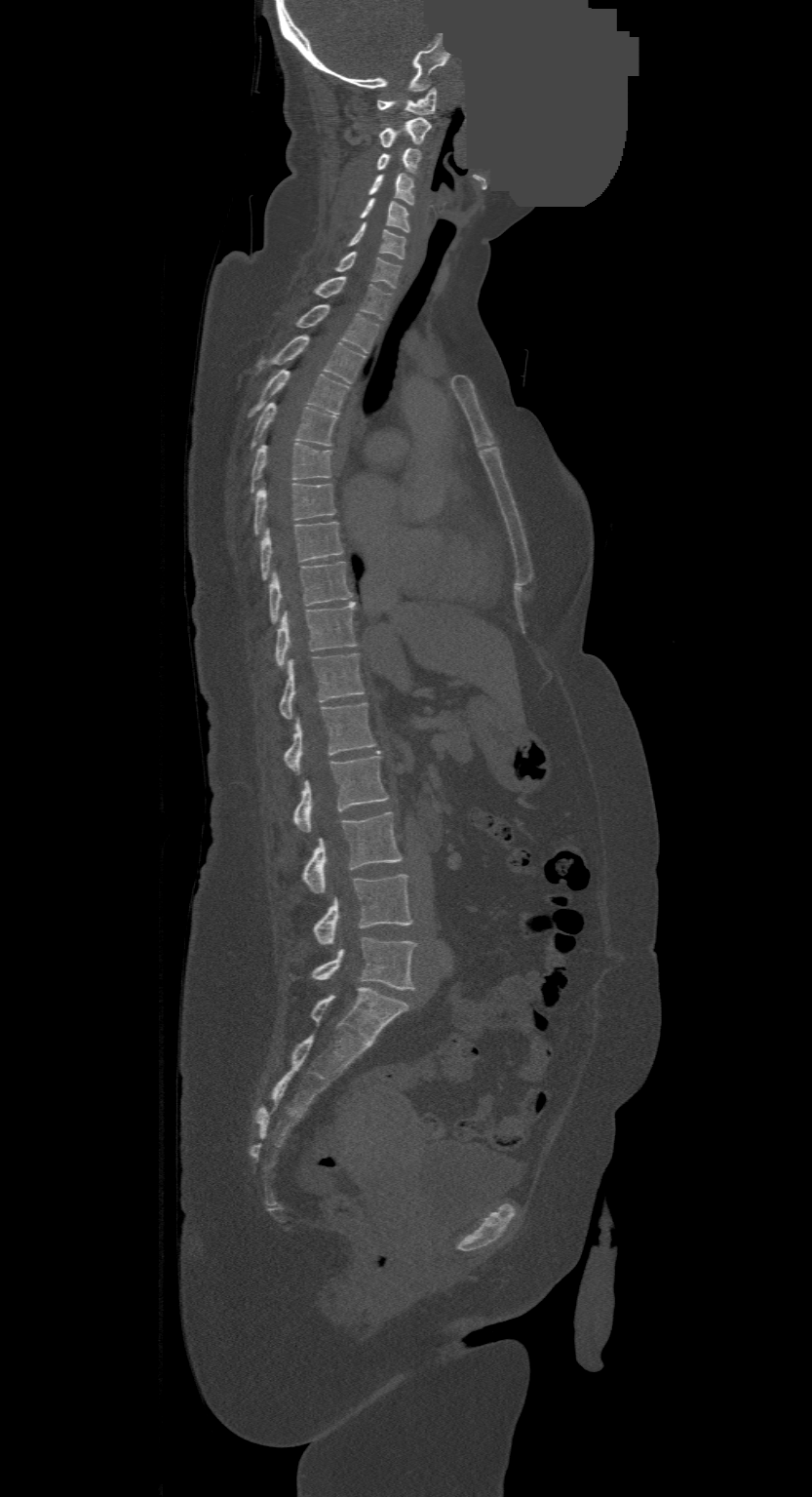
CT, spine — sagittal view — W/L 1800/400 HU — 812x1497 px — part of the image is a flat gray fill, not anatomy. Boxes are (x1, y1, x2, y2) in pixels.
Labels in this scan begin with C1 at the top and end with L4 at the bottom.
L4: (313, 938, 414, 989)
L3: (314, 875, 411, 945)
L2: (301, 811, 402, 893)
L1: (293, 750, 388, 832)
T12: (284, 702, 375, 774)
T11: (279, 653, 364, 720)
T10: (276, 602, 356, 666)
T9: (270, 561, 351, 622)
T8: (262, 522, 343, 578)
T7: (253, 483, 335, 532)
T6: (251, 443, 332, 491)
T5: (252, 402, 337, 445)
T4: (251, 370, 348, 414)
T3: (271, 335, 364, 383)
T2: (296, 304, 380, 352)
T1: (316, 277, 391, 320)
C7: (336, 251, 401, 287)
C6: (349, 223, 406, 257)
C5: (360, 199, 410, 232)
C4: (368, 175, 413, 204)
C3: (377, 148, 419, 170)
C2: (381, 117, 431, 147)
C1: (377, 88, 436, 115)